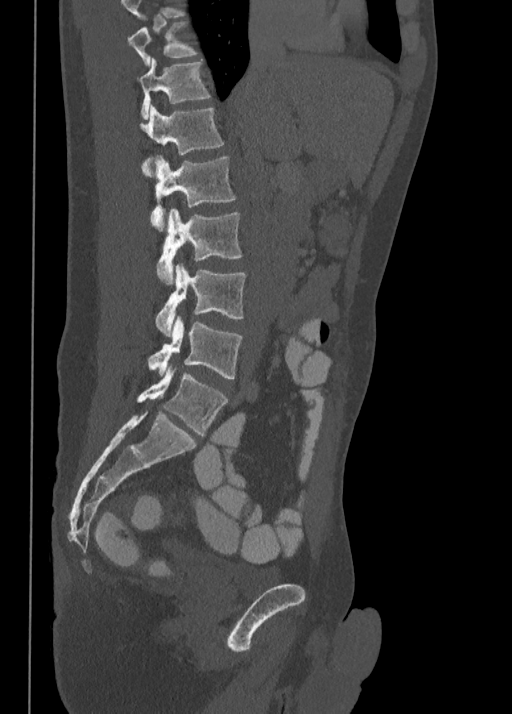

Spine computed tomography · sagittal view · bone window · 512x714 px
Boxes: x1 y1 x2 y2 (pixel coords, space-separated).
This scan's labels start at T10 at the top and end at L5 at the bottom.
T10: 128 21 199 66
T11: 139 57 211 119
T12: 140 103 224 177
L1: 150 155 236 231
L2: 156 209 242 283
L3: 155 265 246 336
L4: 148 316 242 379
L5: 137 369 227 436